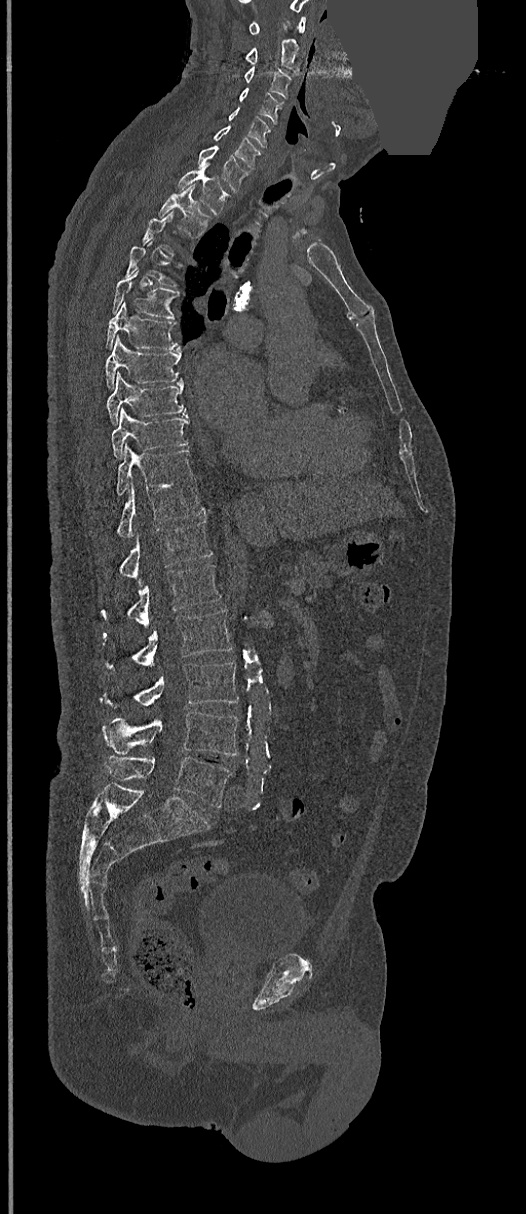

CT, spine · sagittal view · bone window · a region is masked with a constant gray value
Boxes are given in columns x1, y1, x2, y2, the pixel coordinates of their top-left and bottom-right corners.
Each vertebra is boxed only on the slices from the first to the last where its cross-section reaches a third of its largest, so a slice outside that range leaves it unboxed.
| vertebra | x1 | y1 | x2 | y2 |
|---|---|---|---|---|
| L5 | 104 | 756 | 232 | 808 |
| L4 | 103 | 711 | 237 | 755 |
| L3 | 102 | 661 | 239 | 708 |
| L2 | 104 | 610 | 232 | 669 |
| L1 | 102 | 564 | 222 | 628 |
| T12 | 120 | 520 | 212 | 580 |
| T11 | 117 | 483 | 204 | 538 |
| T10 | 117 | 444 | 194 | 495 |
| T9 | 111 | 409 | 189 | 458 |
| T8 | 107 | 373 | 186 | 422 |
| T7 | 106 | 337 | 182 | 386 |
| T6 | 106 | 301 | 179 | 350 |
| T5 | 111 | 270 | 179 | 319 |
| T2 | 159 | 184 | 208 | 236 |
| T1 | 177 | 170 | 228 | 213 |
| C7 | 198 | 146 | 249 | 190 |
| C6 | 214 | 126 | 260 | 169 |
| C5 | 228 | 107 | 270 | 146 |
| C4 | 238 | 87 | 283 | 123 |
| C3 | 244 | 66 | 292 | 98 |
| C2 | 245 | 39 | 302 | 73 |
| C1 | 248 | 16 | 306 | 35 |